Computed tomography of the spine — Sagittal slice 260/512 — bone window — 512x513 px
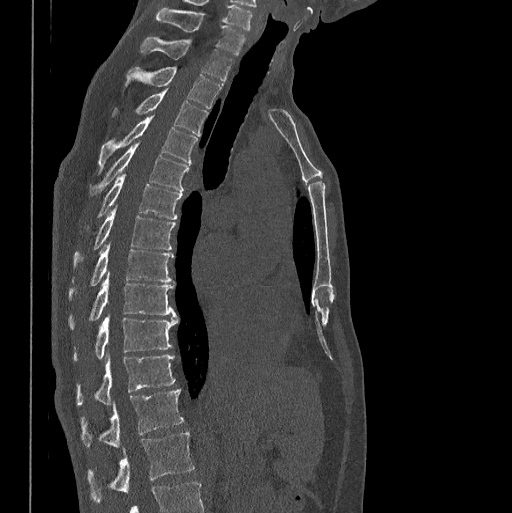 Boxes are (x1, y1, x2, y2) in pixels.
Vertebra bounding boxes:
- L1: (87, 432, 194, 503)
- T12: (81, 389, 183, 446)
- T11: (76, 354, 175, 405)
- T10: (73, 315, 178, 360)
- T9: (69, 272, 176, 328)
- T8: (69, 244, 173, 299)
- T7: (73, 207, 175, 268)
- T6: (98, 174, 182, 219)
- T5: (89, 142, 188, 196)
- T4: (99, 117, 197, 172)
- T3: (113, 89, 207, 134)
- T2: (125, 66, 223, 108)
- T1: (140, 37, 233, 81)
- C7: (156, 7, 245, 53)